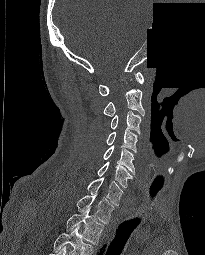

CT spine · sagittal view · bone window · the image spans 205 mm across · 205x255 px · part of the scan has been removed (filled with constant black)

Boxes: x1:y1:x2:y2 in pixels.
In this scan, the topmost labeled vertebra is C1 and the lowest is T2.
C1: 99:72:144:95
C2: 103:89:144:116
C3: 111:111:141:134
C4: 106:129:137:152
C5: 103:145:134:174
C6: 97:161:133:188
C7: 87:177:123:205
T1: 76:194:114:223
T2: 66:209:104:243